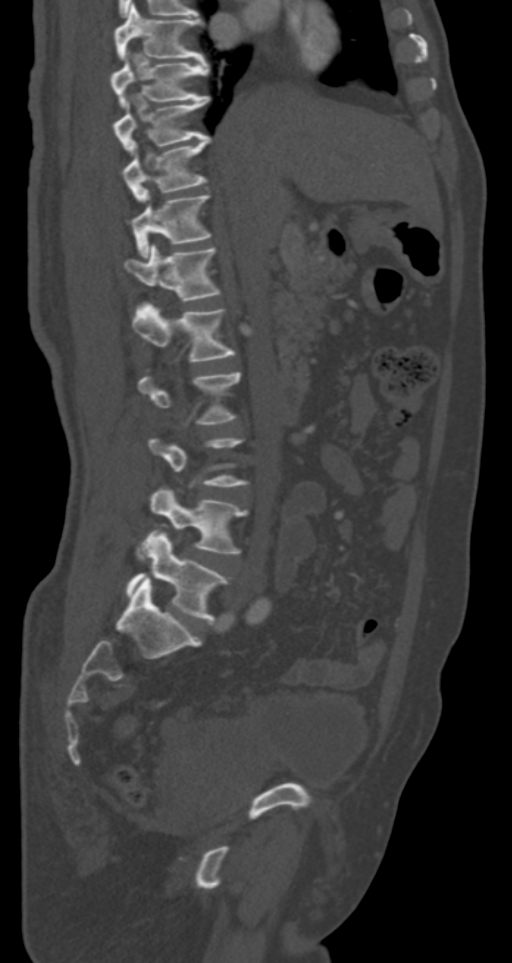
CT spine; sagittal view; bone-window reconstruction
Each box given as x1,y1,x2,y2.
A vertebra gets a box only on the slices from the first to the last where its cross-section is at least a third of its largest; on a slice outside that range it gets none.
| vertebra | x1 | y1 | x2 | y2 |
|---|---|---|---|---|
| T7 | 114 | 4 | 204 | 61 |
| T8 | 110 | 51 | 207 | 105 |
| T9 | 112 | 96 | 209 | 155 |
| T10 | 121 | 137 | 209 | 203 |
| T11 | 128 | 196 | 211 | 257 |
| T12 | 124 | 244 | 220 | 302 |
| L1 | 132 | 301 | 234 | 361 |
| L4 | 136 | 488 | 247 | 558 |
| L5 | 126 | 531 | 227 | 623 |